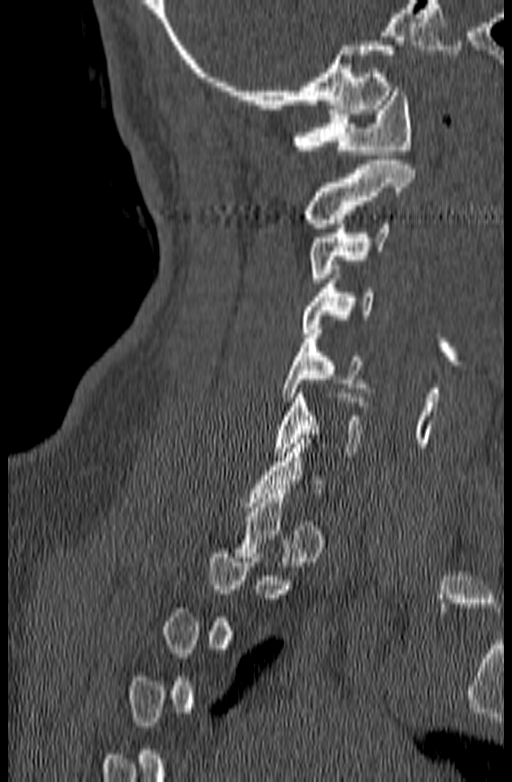

CT, spine. sagittal view

Each box given as x1,y1,x2,y2. Not every vertebra on this slice has a box: a vertebra is boxed only from the first to the last slice where its cross-section is at least a third of its largest, and this slice is outside that range for at least one of them. Vertebrae labeled: C6 at x1=274, y1=389, x2=371, y2=456, C5 at x1=282, y1=329, x2=370, y2=401, C4 at x1=302, y1=274, x2=373, y2=333, C3 at x1=309, y1=219, x2=389, y2=282, C2 at x1=305, y1=160, x2=415, y2=228, C1 at x1=292, y1=87, x2=411, y2=154.